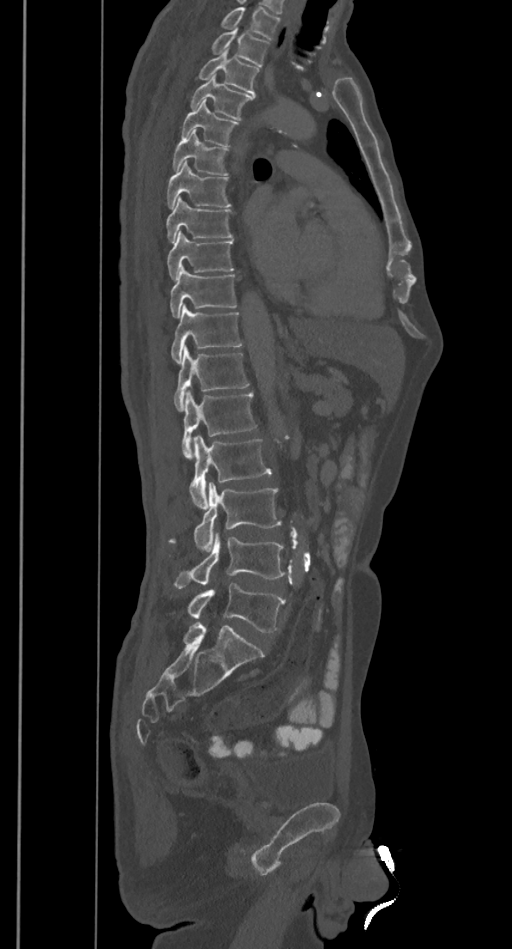 Spine CT; sagittal view
No box is given to a vertebra that the top edge of the scan cuts off.
<vertebrae><v name="T2" x1="211" y1="28" x2="269" y2="66"/><v name="T3" x1="198" y1="50" x2="258" y2="95"/><v name="T4" x1="190" y1="75" x2="253" y2="119"/><v name="T5" x1="180" y1="101" x2="238" y2="146"/><v name="T6" x1="173" y1="130" x2="228" y2="175"/><v name="T7" x1="166" y1="160" x2="230" y2="208"/><v name="T8" x1="166" y1="196" x2="232" y2="242"/><v name="T9" x1="167" y1="232" x2="234" y2="279"/><v name="T10" x1="170" y1="267" x2="237" y2="317"/><v name="T11" x1="172" y1="304" x2="242" y2="363"/><v name="T12" x1="174" y1="346" x2="249" y2="411"/><v name="L1" x1="182" y1="390" x2="257" y2="459"/><v name="L2" x1="189" y1="434" x2="271" y2="508"/><v name="L3" x1="169" y1="482" x2="281" y2="550"/><v name="L4" x1="174" y1="533" x2="290" y2="588"/><v name="L5" x1="187" y1="583" x2="285" y2="632"/></vertebrae>